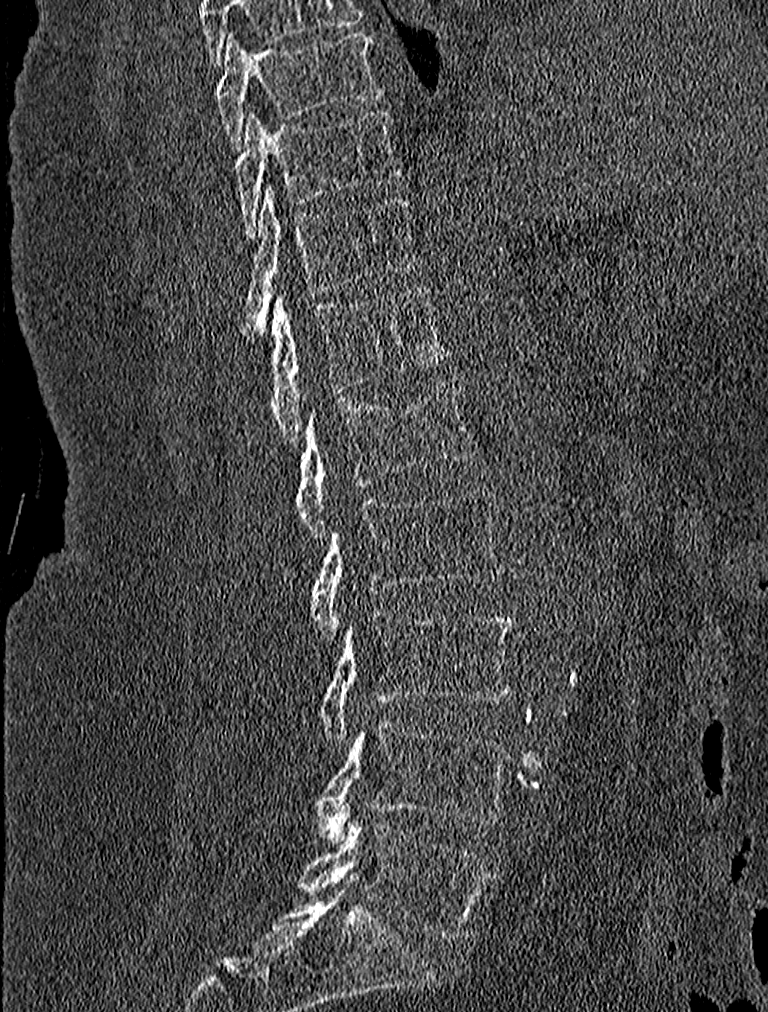

Spine computed tomography. sagittal view. bone window. 768x1012 px
Box values are [left, top, right, bottom] in pixels.
{"vertebrae":{"T9":[215,30,384,148],"T10":[236,108,400,237],"T11":[246,187,417,334],"T12":[252,288,451,441],"L1":[297,376,478,539],"L2":[310,487,505,637],"L3":[317,611,515,742],"L4":[313,719,513,839],"L5":[297,818,495,941]}}